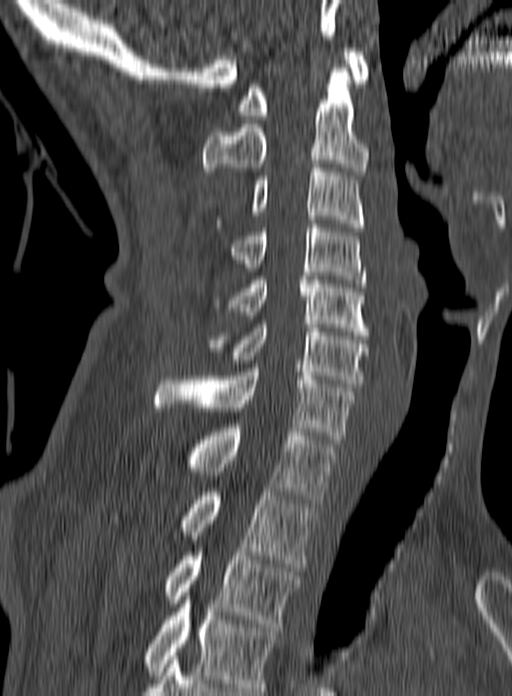

CT spine · sagittal view · bone window · 512x696 px

Boxes are given in columns x1, y1, x2, y2, the pixel coordinates of their top-left and bottom-right corners.
This scan's labels start at C1 at the top and end at T3 at the bottom.
| vertebra | x1 | y1 | x2 | y2 |
|---|---|---|---|---|
| T3 | 164 | 552 | 299 | 627 |
| T2 | 110 | 492 | 314 | 567 |
| T1 | 186 | 428 | 336 | 503 |
| C7 | 155 | 368 | 355 | 443 |
| C6 | 205 | 320 | 368 | 387 |
| C5 | 213 | 280 | 368 | 335 |
| C4 | 230 | 224 | 366 | 287 |
| C3 | 217 | 164 | 364 | 227 |
| C2 | 203 | 64 | 368 | 175 |
| C1 | 238 | 48 | 370 | 119 |